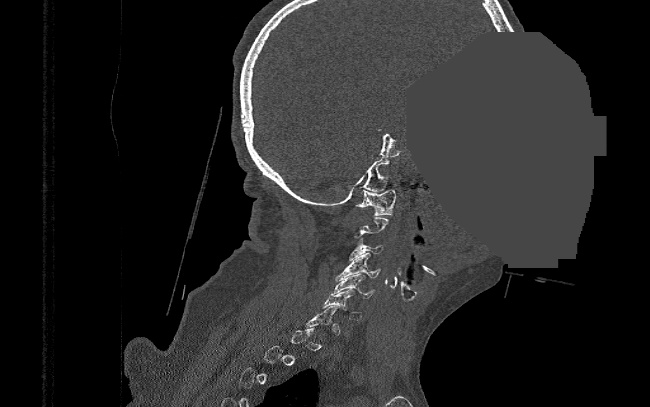 CT — the image spans 390 mm across — sagittal view — Bone window (WL 400, WW 1800) — an area of the scan was removed and filled with constant pixels
Box values are [left, top, right, bottom] in pixels.
Not every vertebra on this slice has a box: a vertebra is boxed only from the first to the last slice where its cross-section is at least a third of its largest, and this slice is outside that range for at least one of them.
{"vertebrae":{"C1":[354,189,395,215],"C3":[348,238,382,260],"C4":[335,253,380,280],"C5":[328,273,375,298],"C6":[322,289,362,319]}}